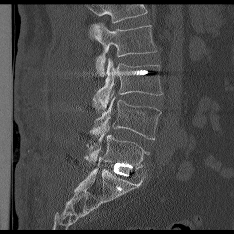

CT spine · sagittal view · Bone window (WL 400, WW 1800) · 234x234 px
Columns x1, y1, x2, y2 give each box's top-left and bottom-right pixels.
A vertebra cut off by the top edge of the scan is not labeled and has no box.
| vertebra | x1 | y1 | x2 | y2 |
|---|---|---|---|---|
| L2 | 93 | 23 | 156 | 76 |
| L3 | 93 | 58 | 162 | 109 |
| L4 | 89 | 97 | 160 | 139 |
| L5 | 85 | 127 | 148 | 167 |